CT, spine · the image is 199 mm wide · sagittal reformat · bone-window reconstruction
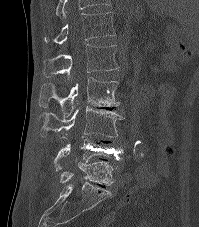

Box edges are left/top/right/bottom in pixels.
In this scan, the topmost labeled vertebra is T12 and the lowest is L5.
T12: left=43, top=12, right=115, bottom=44
L1: left=43, top=44, right=118, bottom=77
L2: left=39, top=77, right=119, bottom=117
L3: left=40, top=106, right=124, bottom=137
L4: left=54, top=136, right=124, bottom=171
L5: left=60, top=161, right=114, bottom=185